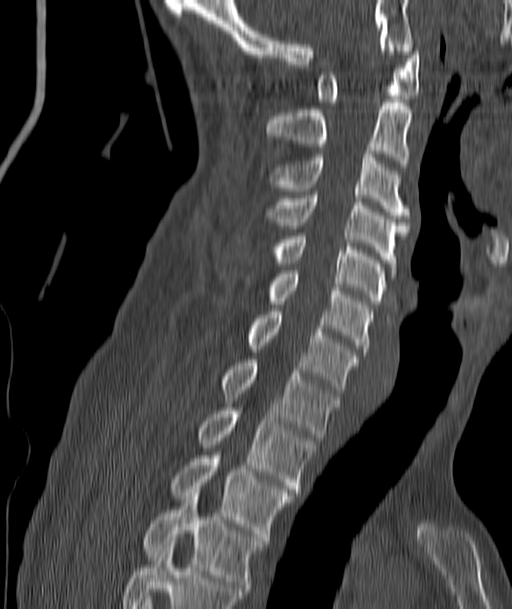 Spine computed tomography. sagittal view. In the table, x1 and y1 are a box's top-left corner and x2 and y2 its bottom-right corner, in pixels.
| vertebra | x1 | y1 | x2 | y2 |
|---|---|---|---|---|
| C1 | 318 | 48 | 419 | 102 |
| C2 | 266 | 99 | 411 | 163 |
| C3 | 269 | 151 | 408 | 218 |
| C4 | 266 | 192 | 408 | 269 |
| C5 | 269 | 233 | 386 | 304 |
| C6 | 266 | 274 | 372 | 352 |
| C7 | 247 | 311 | 359 | 393 |
| T1 | 220 | 359 | 339 | 437 |
| T2 | 198 | 407 | 315 | 492 |
| T3 | 171 | 455 | 293 | 540 |
| T4 | 143 | 496 | 265 | 595 |